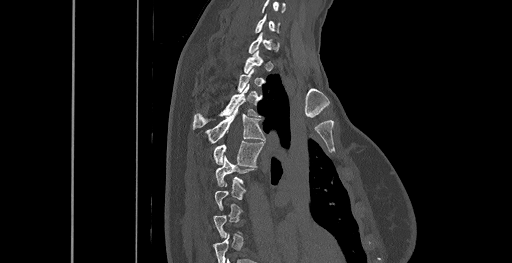
Spine computed tomography · sagittal view · 461 mm image width · Bone window (WL 400, WW 1800) · 512x263 px
Boxes: x1:y1:x2:y2 in pixels.
Not every vertebra on this slice has a box: a vertebra is boxed only from the first to the last slice where its cross-section is at least a third of its largest, and this slice is outside that range for at least one of them.
The highest labeled vertebra in this scan is C6; the lowest is T8.
Vertebra bounding boxes:
- T6: 215:156:255:186
- T5: 213:141:263:166
- T4: 205:106:264:144
- T3: 192:85:257:129
- C6: 255:14:278:33